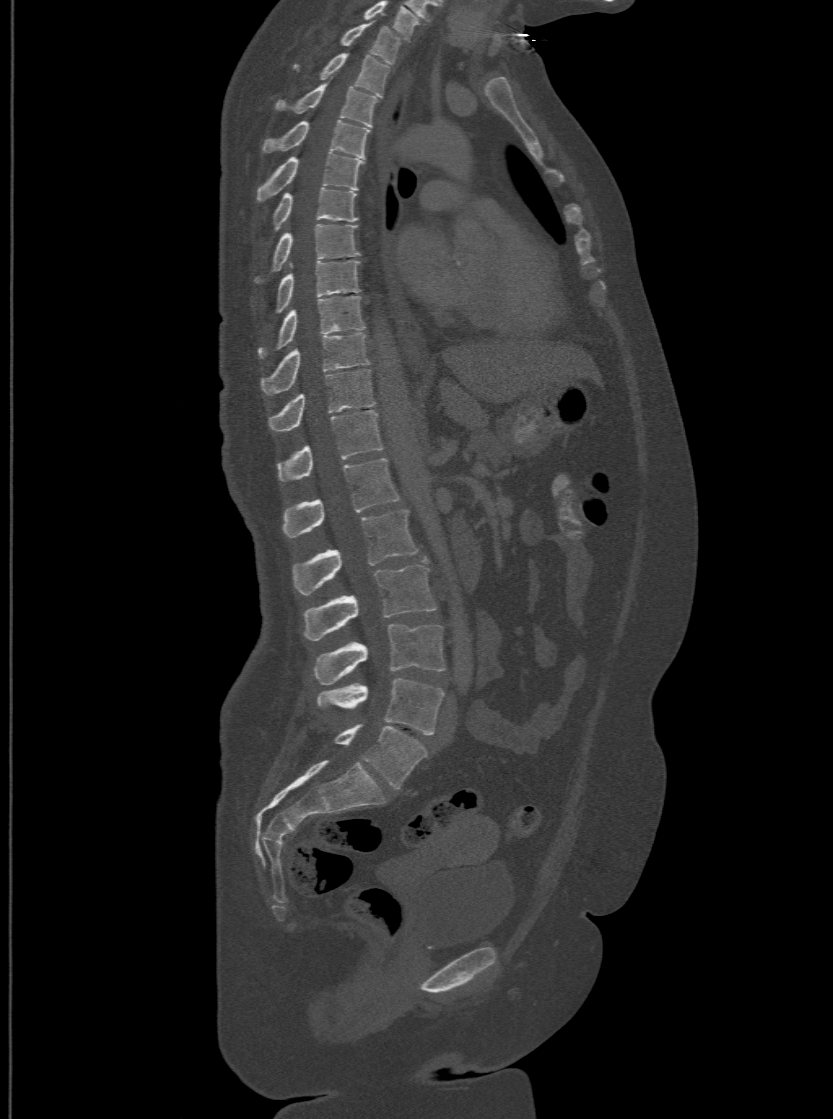 CT, spine — image 500 mm wide — sagittal view — 833x1119 px
In this scan, the topmost labeled vertebra is T1 and the lowest is L6.
The labels name a sixth lumbar vertebra for this spine: L6, after L5.
<vertebrae><v name="T1" x1="339" y1="23" x2="401" y2="64"/><v name="T2" x1="293" y1="52" x2="390" y2="96"/><v name="T3" x1="275" y1="82" x2="377" y2="126"/><v name="T4" x1="262" y1="118" x2="368" y2="157"/><v name="T5" x1="257" y1="152" x2="364" y2="201"/><v name="T6" x1="272" y1="187" x2="357" y2="231"/><v name="T7" x1="254" y1="223" x2="360" y2="282"/><v name="T8" x1="275" y1="260" x2="360" y2="312"/><v name="T9" x1="259" y1="295" x2="365" y2="357"/><v name="T10" x1="260" y1="332" x2="368" y2="394"/><v name="T11" x1="269" y1="368" x2="373" y2="431"/><v name="T12" x1="278" y1="410" x2="383" y2="481"/><v name="L1" x1="283" y1="457" x2="399" y2="536"/><v name="L2" x1="293" y1="508" x2="417" y2="595"/><v name="L3" x1="303" y1="555" x2="435" y2="640"/><v name="L4" x1="312" y1="624" x2="443" y2="685"/><v name="L5" x1="317" y1="678" x2="443" y2="735"/><v name="L6" x1="334" y1="724" x2="427" y2="788"/></vertebrae>